CT, spine. sagittal plane, index 143. 371x594 px
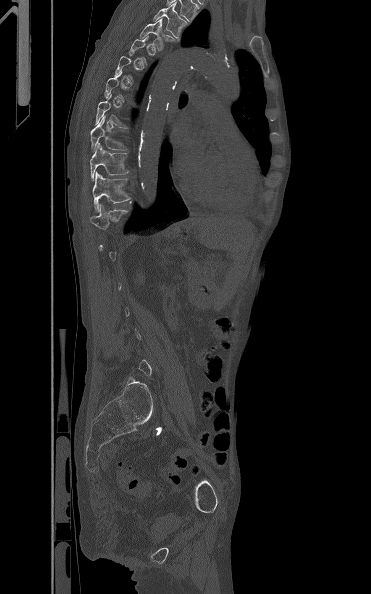

Each row gives a vertebra's box as x1, y1, x2, y2 in pixels: top-left corner, then bottom-right corner.
A vertebra gets a box only on the slices from the first to the last where its cross-section is at least a third of its largest; on a slice outside that range it gets none.
| vertebra | x1 | y1 | x2 | y2 |
|---|---|---|---|---|
| T3 | 152 | 3 | 186 | 39 |
| T4 | 139 | 18 | 176 | 50 |
| T8 | 95 | 92 | 128 | 127 |
| T9 | 90 | 115 | 130 | 152 |
| T10 | 90 | 142 | 129 | 180 |
| T11 | 92 | 171 | 132 | 212 |